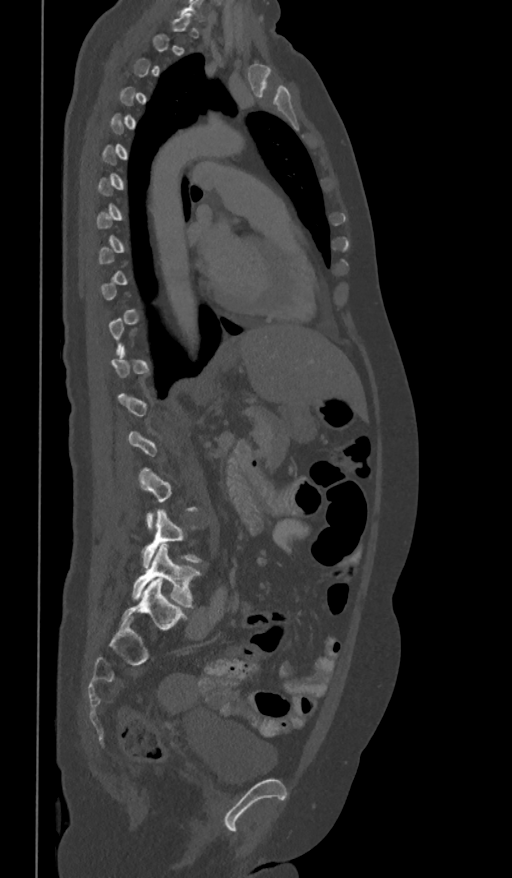

CT · sagittal reformat · the image spans 361 mm across. Bounding boxes as [x1, y1, x2, y2] in pixel coordinates.
Each vertebra is boxed only on the slices from the first to the last where its cross-section reaches a third of its largest, so a slice outside that range leaves it unboxed.
L4: [143, 509, 202, 568]
L5: [132, 545, 202, 608]